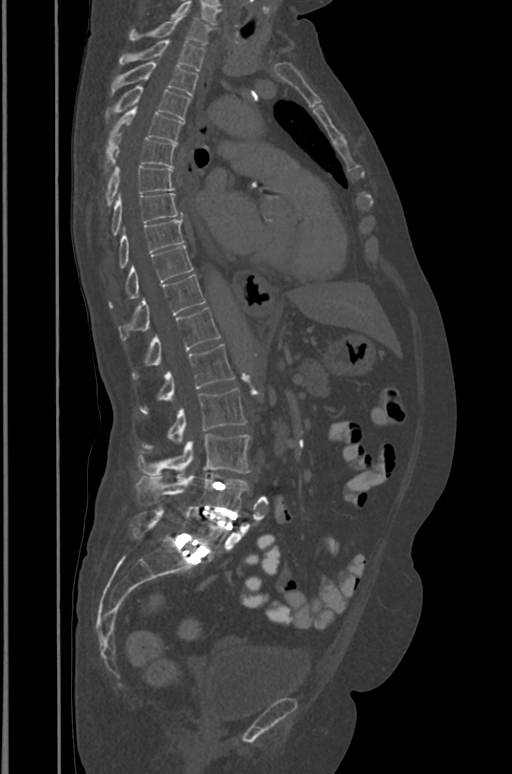 CT, spine; sagittal view; 512x774 px
Bounding boxes as [x1, y1, x2, y2] in pixel coordinates. In this scan, the topmost labeled vertebra is T1 and the lowest is L5. 17 vertebrae labeled — T1 at [128, 14, 211, 44]; T2 at [119, 40, 205, 70]; T3 at [111, 62, 198, 95]; T4 at [115, 86, 190, 121]; T5 at [110, 106, 184, 143]; T6 at [107, 134, 176, 166]; T7 at [106, 166, 173, 204]; T8 at [113, 193, 182, 234]; T9 at [119, 219, 184, 267]; T10 at [110, 245, 193, 306]; T11 at [119, 275, 206, 341]; T12 at [132, 307, 220, 377]; L1 at [140, 344, 235, 412]; L2 at [144, 389, 247, 447]; L3 at [137, 434, 249, 477]; L4 at [135, 473, 247, 511]; L5 at [131, 505, 228, 558].